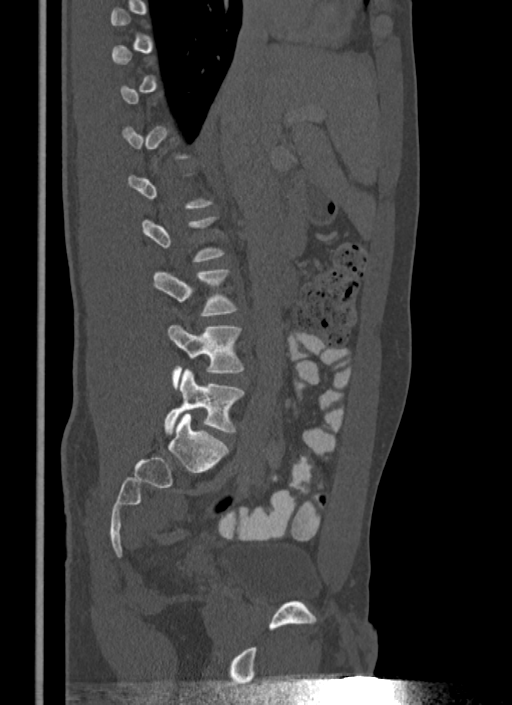 Computed tomography of the spine; sagittal view

Box edges are left/top/right/bottom in pixels. Not every vertebra on this slice has a box: a vertebra is boxed only from the first to the last slice where its cross-section is at least a third of its largest, and this slice is outside that range for at least one of them. 3 vertebrae labeled — L3 at left=153, top=270, right=237, bottom=315; L4 at left=168, top=324, right=244, bottom=388; L5 at left=164, top=369, right=244, bottom=434.